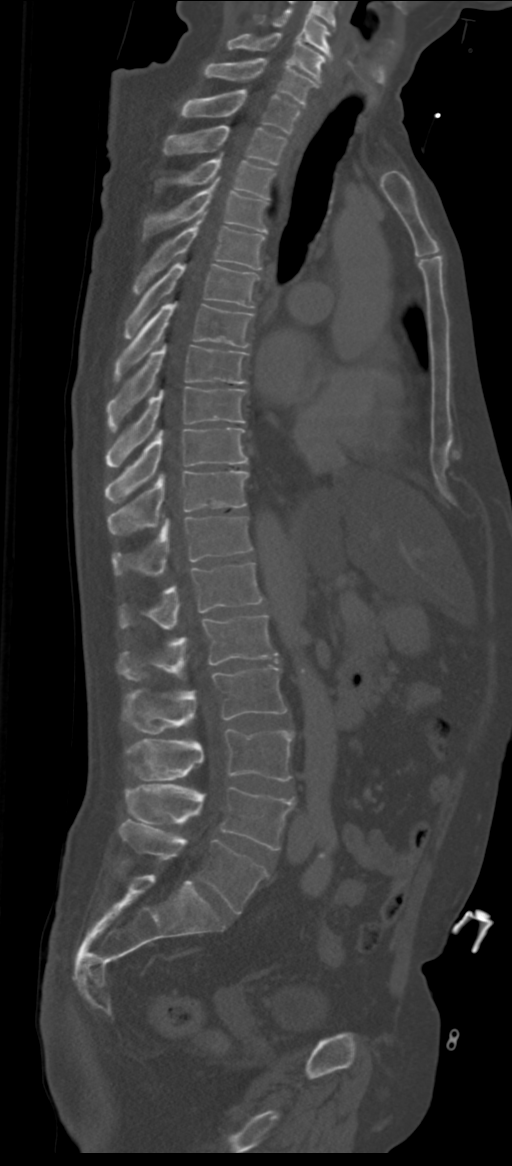
CT — sagittal view — 311 mm wide

Boxes are given in columns x1, y1, x2, y2, the pixel coordinates of their top-left and bottom-right corners.
In these labels the spine has an L6, a sixth lumbar vertebra below L5.
| vertebra | x1 | y1 | x2 | y2 |
|---|---|---|---|---|
| C5 | 257 | 7 | 332 | 57 |
| C6 | 228 | 33 | 325 | 82 |
| C7 | 204 | 58 | 319 | 105 |
| T1 | 181 | 89 | 299 | 133 |
| T2 | 163 | 125 | 286 | 164 |
| T3 | 160 | 157 | 274 | 197 |
| T4 | 144 | 178 | 268 | 235 |
| T5 | 134 | 219 | 264 | 294 |
| T6 | 125 | 264 | 258 | 339 |
| T7 | 114 | 302 | 253 | 381 |
| T8 | 107 | 343 | 246 | 428 |
| T9 | 106 | 386 | 245 | 467 |
| T10 | 106 | 429 | 248 | 502 |
| T11 | 107 | 471 | 248 | 533 |
| T12 | 112 | 516 | 251 | 576 |
| L1 | 119 | 562 | 261 | 628 |
| L2 | 117 | 615 | 278 | 679 |
| L3 | 122 | 666 | 287 | 734 |
| L4 | 127 | 728 | 292 | 780 |
| L5 | 124 | 784 | 294 | 849 |
| L6 | 120 | 819 | 268 | 913 |